Computed tomography of the spine — sagittal view — 512x780 px — image width 165 mm
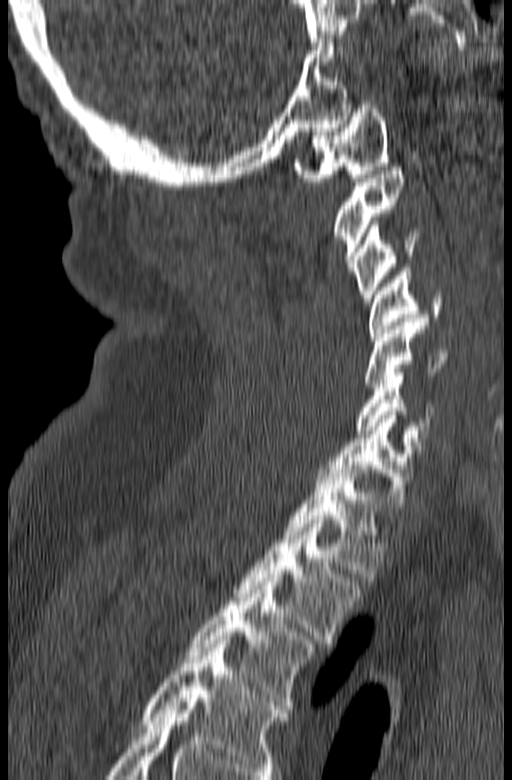

Each box given as x1,y1,x2,y2. This scan's labels start at C1 at the top and end at T3 at the bottom. 10 vertebrae labeled — C1 at x1=293, y1=101, x2=390, y2=181; C2 at x1=333, y1=167, x2=405, y2=271; C3 at x1=352, y1=221, x2=419, y2=302; C4 at x1=367, y1=268, x2=442, y2=340; C5 at x1=364, y1=318, x2=447, y2=387; C6 at x1=355, y1=368, x2=435, y2=437; C7 at x1=318, y1=411, x2=426, y2=507; T1 at x1=283, y1=465, x2=385, y2=577; T2 at x1=233, y1=520, x2=361, y2=647; T3 at x1=187, y1=578, x2=313, y2=705.